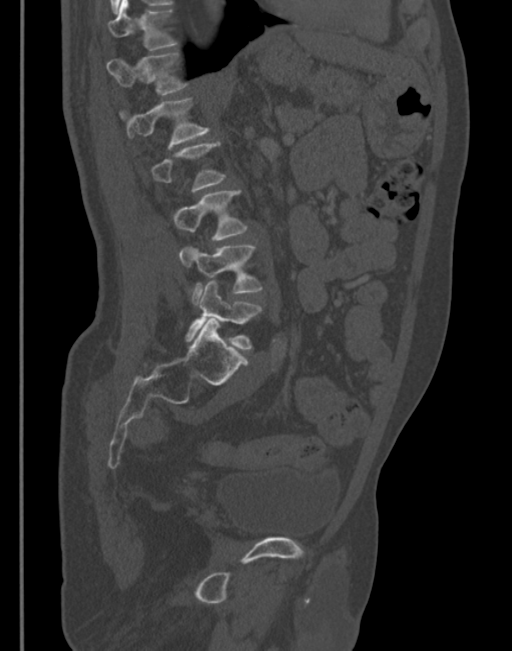 CT; sagittal reformat
Bounding boxes as [x1, y1, x2, y2] in pixel coordinates.
Each vertebra is boxed only on the slices from the first to the last where its cross-section reaches a third of its largest, so a slice outside that range leaves it unboxed.
T11: [108, 0, 177, 50]
T12: [107, 52, 186, 95]
L1: [120, 97, 209, 149]
L3: [173, 191, 247, 240]
L4: [179, 246, 261, 304]
L5: [185, 280, 261, 348]